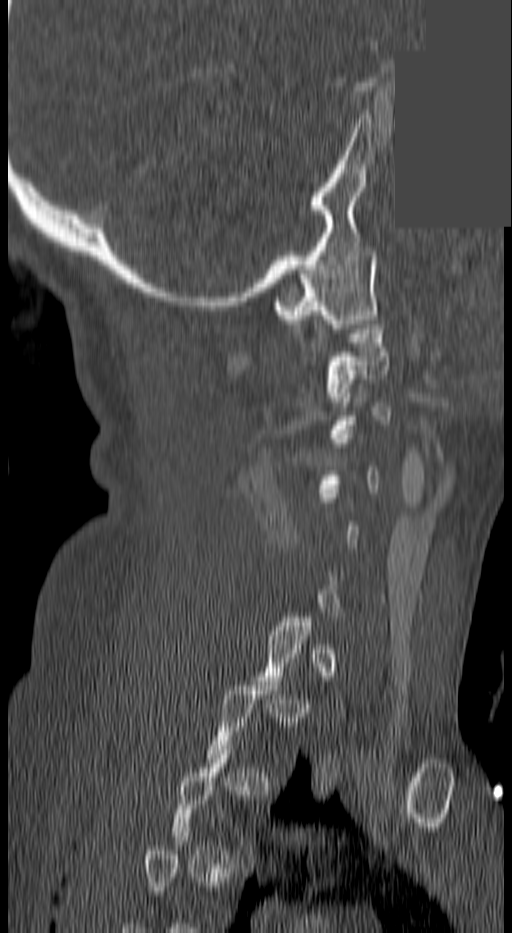

Spine CT. image 140 mm wide. sagittal view. 512x933 px. a uniform gray block covers part of the image. Columns x1, y1, x2, y2 give each box's top-left and bottom-right pixels.
Not every vertebra on this slice has a box: a vertebra is boxed only from the first to the last slice where its cross-section is at least a third of its largest, and this slice is outside that range for at least one of them.
| vertebra | x1 | y1 | x2 | y2 |
|---|---|---|---|---|
| C1 | 271 | 247 | 377 | 328 |
| C2 | 327 | 320 | 388 | 401 |